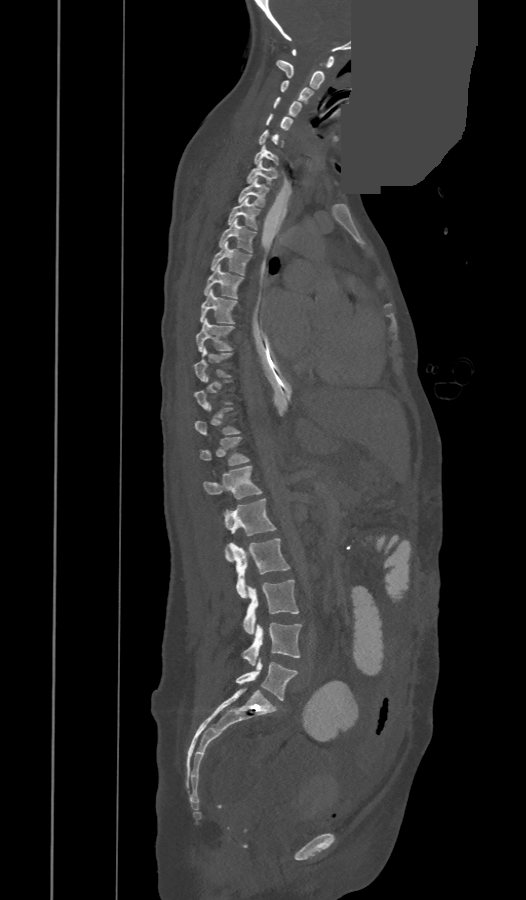
CT · sagittal view · W/L 1800/400 HU · part of the image has been replaced by a constant value
Boxes: x1:y1:x2:y2 in pixels. A vertebra is boxed only from the first to the last slice where its cross-section is at least a third of its largest; slices outside that range leave it without a box. In these labels the spine has a T13, a thirteenth thoracic vertebra, between T12 and L1. 24 vertebrae labeled — C1 at 292:49:334:67; C2 at 276:60:324:90; C3 at 280:80:313:105; C4 at 273:97:301:117; C5 at 266:113:293:130; C6 at 259:130:283:147; C7 at 255:146:278:165; T1 at 246:161:277:186; T2 at 238:178:269:207; T3 at 228:198:260:229; T4 at 219:219:257:252; T5 at 211:242:253:275; T6 at 204:265:243:298; T7 at 200:289:238:324; T8 at 197:318:234:351; T9 at 193:347:232:381; T11 at 194:405:240:436; T12 at 200:437:249:465; T13 at 203:466:262:499; L1 at 225:498:275:561; L2 at 228:538:291:598; L3 at 242:579:298:634; L4 at 242:622:301:665; L5 at 235:660:297:700.